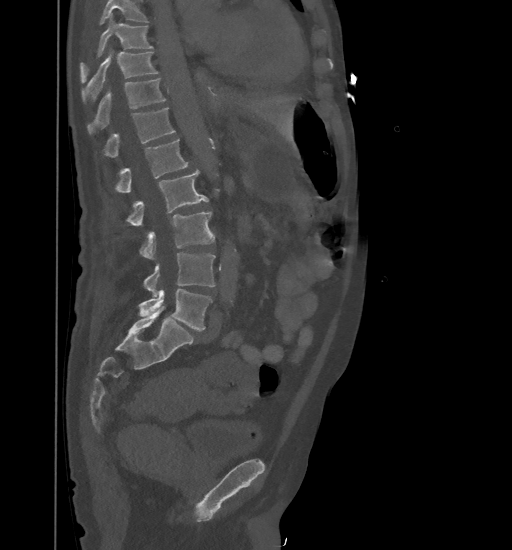 CT · sagittal reformat · 512x550 px
Each vertebra maps to its box as [x1, y1, x2, y2], the pixel coordinates of its top-left and bottom-right corners.
Where the top of the scan cuts through a vertebra, that vertebra gets no label or box.
{"vertebrae":{"T9":[80,13,152,80],"T10":[82,49,158,102],"T11":[88,78,166,134],"T12":[103,108,175,157],"L1":[115,139,188,192],"L2":[126,170,208,226],"L3":[139,211,215,258],"L4":[143,252,215,296],"L5":[139,289,212,330]}}